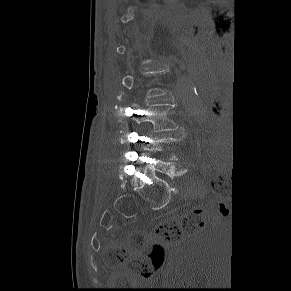

CT. sagittal view. bone-window reconstruction. Each box given as x1,y1,x2,y2.
Not every vertebra on this slice has a box: a vertebra is boxed only from the first to the last slice where its cross-section is at least a third of its largest, and this slice is outside that range for at least one of them.
L5: x1=131, y1=153, x2=187, y2=185
L4: x1=140, y1=131, x2=186, y2=159
L3: x1=127, y1=103, x2=177, y2=131